Computed tomography of the spine. sagittal plane, index 271. the image spans 385 mm across. bone-window reconstruction. 512x949 px
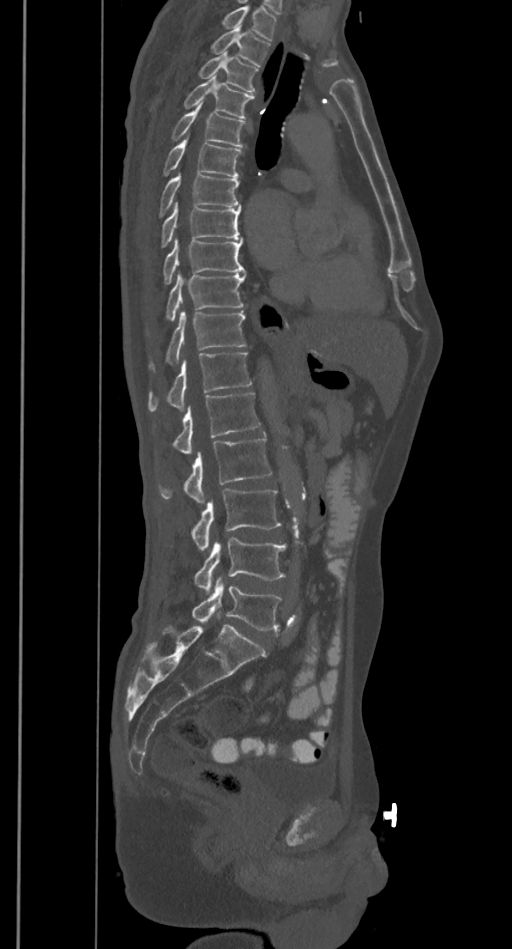
Boxes below are [x1, y1, x2, y2] in pixels.
Vertebrae that run past the top of the scan are left unlabeled.
{"vertebrae":{"T2":[213,26,270,65],"T3":[199,53,258,91],"T4":[185,75,254,117],"T5":[173,102,245,146],"T6":[163,135,241,177],"T7":[159,171,240,216],"T8":[162,202,241,246],"T9":[163,238,245,283],"T10":[166,270,246,321],"T11":[166,311,245,364],"T12":[149,352,252,411],"L1":[174,391,259,454],"L2":[159,437,271,504],"L3":[193,490,281,550],"L4":[194,537,286,594],"L5":[191,576,282,630]}}